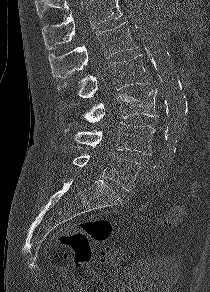

CT; sagittal view; Bone window (WL 400, WW 1800); 210x292 px
Boxes below are [x1, y1, x2, y2] in pixels.
A vertebra cut off by the top edge of the scan is not labeled and has no box.
{"vertebrae":{"L1":[48,21,137,78],"L2":[57,55,148,98],"L3":[82,89,157,123],"L4":[65,122,154,155],"L5":[72,153,140,191]}}